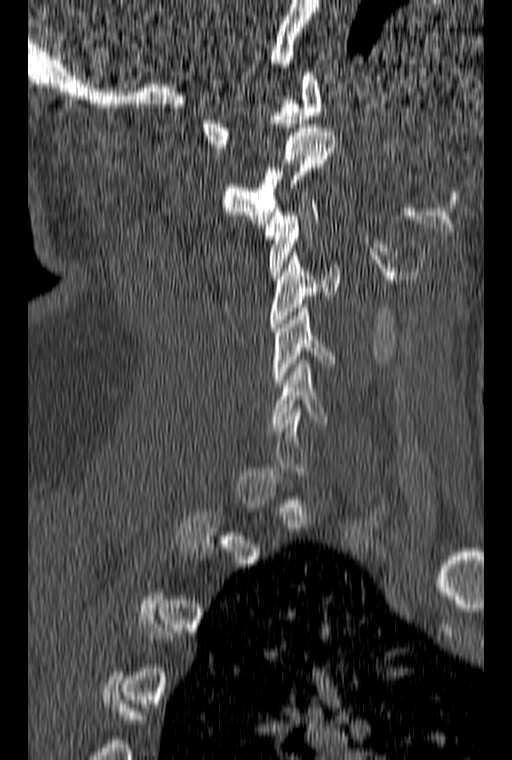
CT, spine; sagittal view; Bone window (WL 400, WW 1800); image width 160 mm
Each vertebra is boxed only on the slices from the first to the last where its cross-section reaches a third of its largest, so a slice outside that range leaves it unboxed.
<vertebrae><v name="C1" x1="200" y1="72" x2="323" y2="147"/><v name="C2" x1="223" y1="124" x2="336" y2="223"/><v name="C3" x1="264" y1="200" x2="318" y2="279"/><v name="C4" x1="270" y1="252" x2="339" y2="331"/><v name="C5" x1="273" y1="304" x2="336" y2="387"/><v name="C6" x1="269" y1="360" x2="328" y2="427"/></vertebrae>